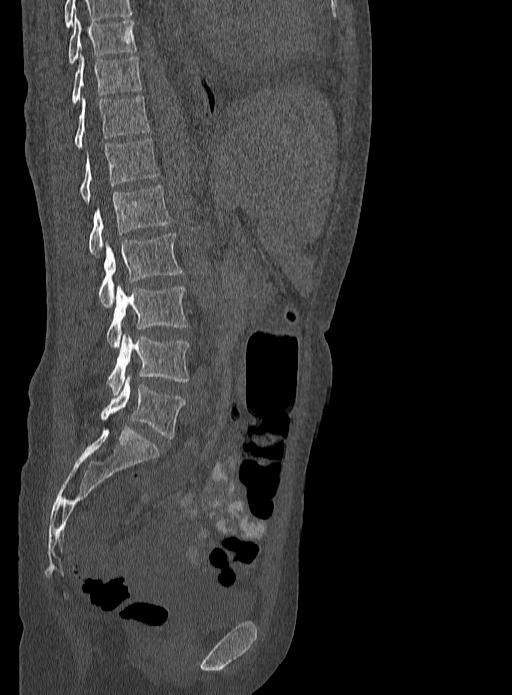 Spine CT; sagittal view; 333 mm across the image; W/L 1800/400 HU
The highest labeled vertebra in this scan is T9; the lowest is L5.
<vertebrae><v name="L5" x1="101" y1="377" x2="185" y2="439"/><v name="L4" x1="107" y1="332" x2="189" y2="394"/><v name="L3" x1="107" y1="286" x2="188" y2="346"/><v name="L2" x1="98" y1="232" x2="183" y2="307"/><v name="L1" x1="89" y1="185" x2="171" y2="256"/><v name="T12" x1="80" y1="138" x2="160" y2="202"/><v name="T11" x1="74" y1="95" x2="149" y2="148"/><v name="T10" x1="72" y1="55" x2="142" y2="104"/><v name="T9" x1="67" y1="17" x2="137" y2="64"/></vertebrae>